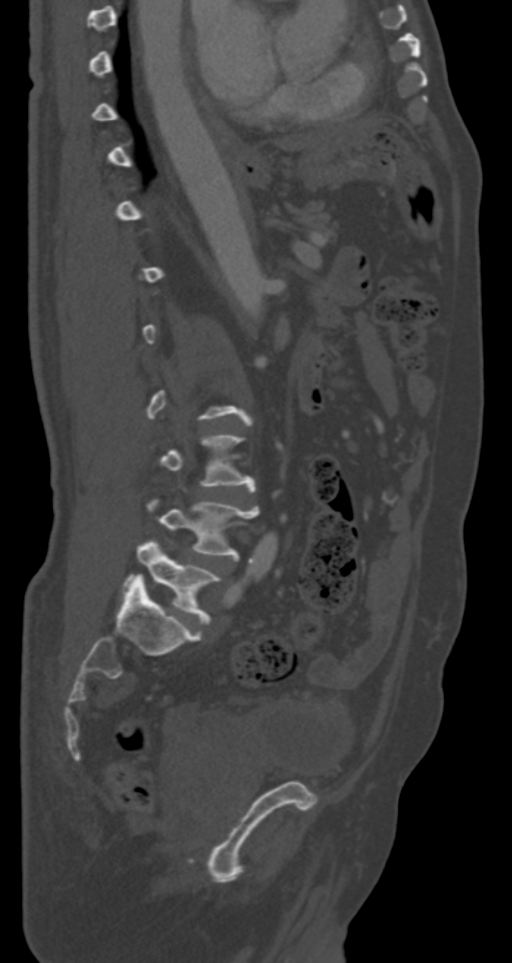

Spine CT · sagittal reformat
Boxes: x1 y1 x2 y2 (pixel coords, space-separated).
Not every vertebra on this slice has a box: a vertebra is boxed only from the first to the last slice where its cross-section is at least a third of its largest, and this slice is outside that range for at least one of them.
Vertebra bounding boxes:
- L3: 160 435 255 490
- L4: 146 497 259 558
- L5: 123 538 220 623